CT, spine · sagittal reformat
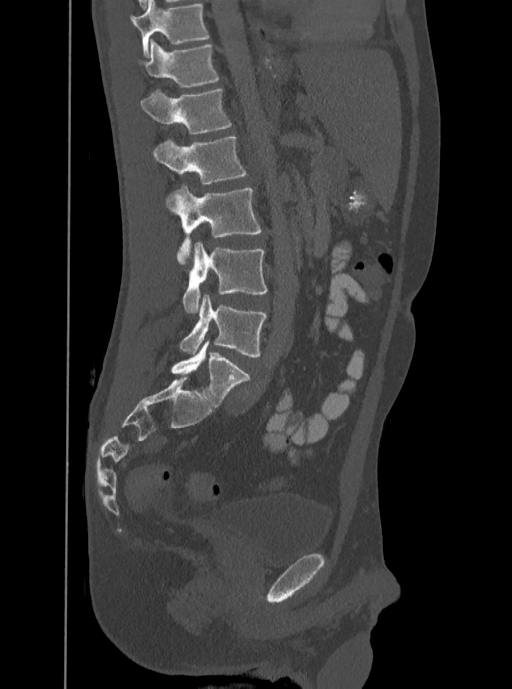
Columns x1, y1, x2, y2 give each box's top-left and bottom-right pixels.
Labels in this scan begin with T12 at the top and end with L5 at the bottom.
| vertebra | x1 | y1 | x2 | y2 |
|---|---|---|---|---|
| T12 | 138 | 39 | 220 | 86 |
| L1 | 140 | 88 | 231 | 133 |
| L2 | 152 | 136 | 246 | 185 |
| L3 | 166 | 186 | 261 | 265 |
| L4 | 183 | 241 | 266 | 312 |
| L5 | 178 | 294 | 266 | 357 |